Spine computed tomography; sagittal plane, index 188; Bone window (WL 400, WW 1800); 17 vertebrae labeled in this scan
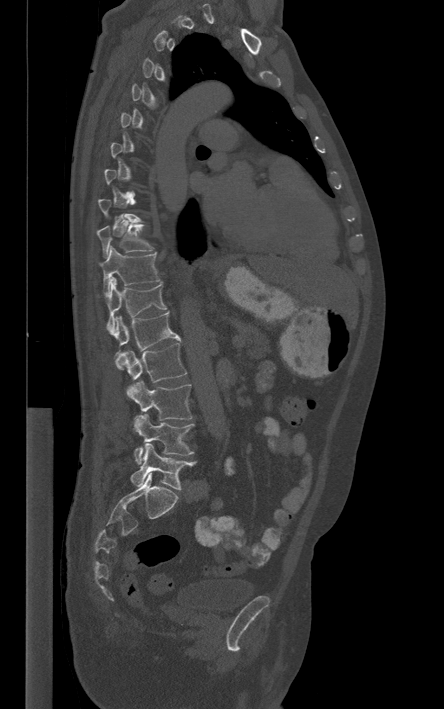
Coordinates as <box>x1,y1,x2,y2</box>.
Not every vertebra on this slice has a box: a vertebra is boxed only from the first to the last slice where its cross-section is at least a third of its largest, and this slice is outside that range for at least one of them.
Vertebra bounding boxes:
- L5: <box>130,443,195,490</box>
- L4: <box>133,414,194,464</box>
- L3: <box>126,380,192,420</box>
- L2: <box>118,343,186,382</box>
- L1: <box>114,312,180,369</box>
- T12: <box>105,276,166,335</box>
- T11: <box>100,246,160,294</box>
- T10: <box>98,224,152,257</box>